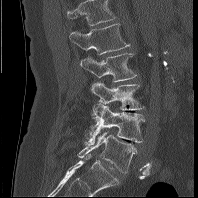

CT · sagittal reformat · 198 mm across the image
The highest labeled vertebra in this scan is L1; the lowest is L5.
<vertebrae><v name="L1" x1="70" y1="23" x2="130" y2="54"/><v name="L2" x1="80" y1="53" x2="137" y2="82"/><v name="L3" x1="91" y1="81" x2="145" y2="110"/><v name="L4" x1="86" y1="104" x2="144" y2="143"/><v name="L5" x1="78" y1="131" x2="136" y2="173"/></vertebrae>